CT, spine — sagittal plane, index 234 — bone-window reconstruction — 453x1568 px — 23 vertebrae labeled in this scan — a portion of the image is blanked out (constant pixel value)
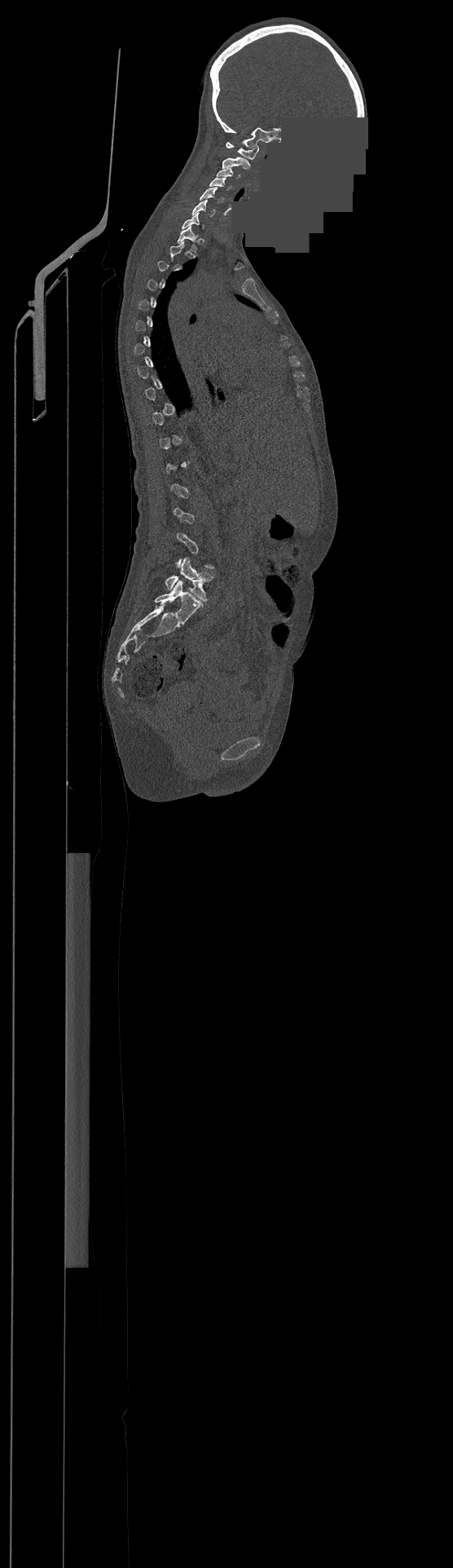 Each vertebra maps to its box as [x1, y1, x2, y2], the pixel coordinates of its top-left and bottom-right corners.
Each vertebra is boxed only on the slices from the first to the last where its cross-section reaches a third of its largest, so a slice outside that range leaves it unboxed.
In this scan, the topmost labeled vertebra is C1 and the lowest is L4.
{"vertebrae":{"C1":[226,142,258,159],"C2":[222,157,250,170],"C3":[217,168,240,179],"C4":[209,177,230,190],"C5":[200,188,223,203],"C6":[191,199,215,217],"T1":[178,224,196,251],"L4":[165,557,213,600]}}